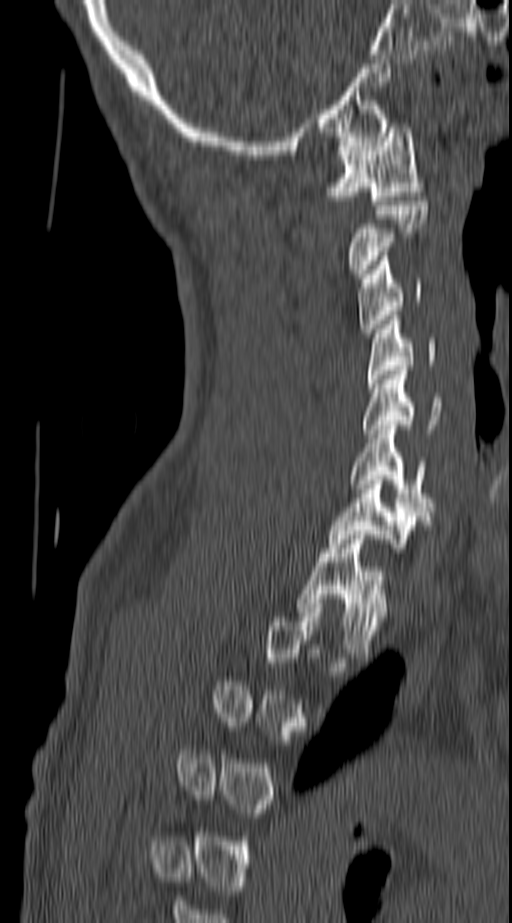
Spine computed tomography. sagittal view. 512x923 px
Each box given as x1,y1,x2,y2. Each vertebra is boxed only on the slices from the first to the last where its cross-section reaches a third of its largest, so a slice outside that range leaves it unboxed. 8 vertebrae labeled — C1 at x1=327, y1=123, x2=422, y2=205; C2 at x1=349, y1=201, x2=428, y2=273; C3 at x1=358, y1=256, x2=423, y2=333; C4 at x1=367, y1=315, x2=436, y2=388; C5 at x1=363, y1=370, x2=443, y2=438; C6 at x1=350, y1=425, x2=432, y2=511; C7 at x1=327, y1=480, x2=426, y2=552; T1 at x1=297, y1=530, x2=388, y2=657.